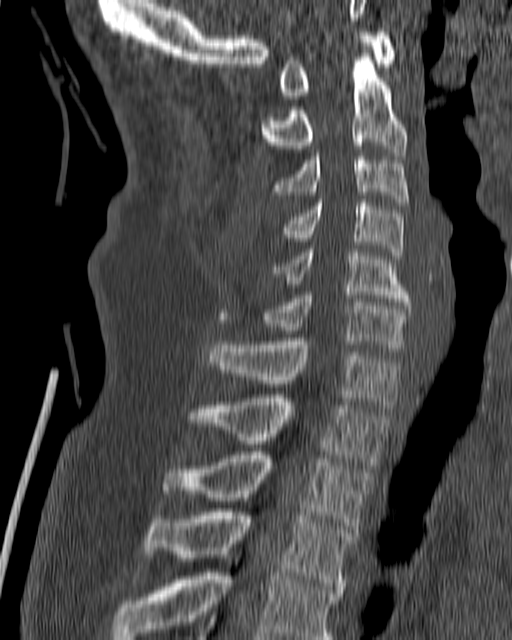
Spine computed tomography — sagittal view — 512x640 px. Coordinates as <box>x1,y1,x2,y2</box>. The labeled vertebrae in this slice are: C1 at <box>279,28,396,99</box>, C2 at <box>260,57,407,155</box>, C3 at <box>270,149,409,205</box>, C4 at <box>280,199,404,259</box>, C5 at <box>271,249,410,305</box>, C6 at <box>260,292,410,347</box>, C7 at <box>209,338,401,408</box>, T1 at <box>186,395,390,465</box>, T2 at <box>162,452,373,529</box>, T3 at <box>143,508,355,593</box>, T4 at <box>112,565,341,639</box>.